Computed tomography of the spine. sagittal view. bone window. 512x919 px
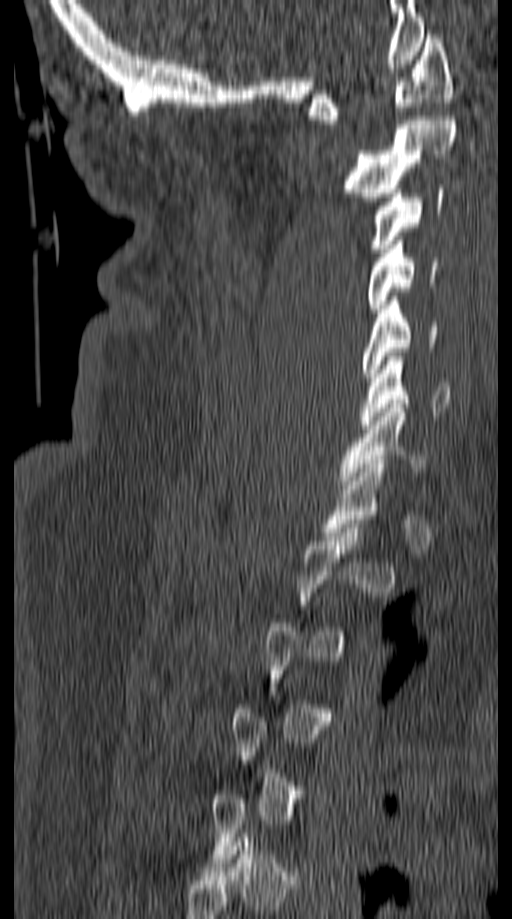

Boxes are (x1, y1, x2, y2) in pixels.
Each vertebra is boxed only on the slices from the first to the last where its cross-section reaches a third of its largest, so a slice outside that range leaves it unboxed.
Vertebra bounding boxes:
- C7: (337, 404, 429, 489)
- C6: (359, 352, 450, 429)
- C5: (362, 296, 437, 381)
- C4: (367, 241, 437, 313)
- C3: (369, 185, 443, 252)
- C2: (341, 116, 457, 201)
- C1: (309, 34, 452, 124)